CT, spine; sagittal view; 350x292 px; scan covers 5 annotated vertebrae
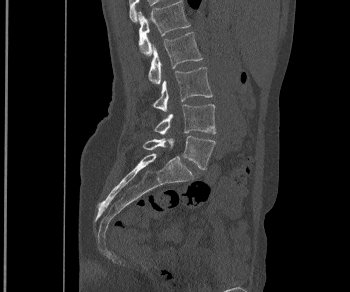

Each box given as x1,y1,x2,y2.
L1: x1=138, y1=0, x2=190, y2=55
L2: x1=148, y1=32, x2=202, y2=85
L3: x1=152, y1=67, x2=212, y2=112
L4: x1=154, y1=104, x2=215, y2=134
L5: x1=143, y1=135, x2=215, y2=169